CT, spine. Sagittal slice 215/512. scan covers 9 annotated vertebrae
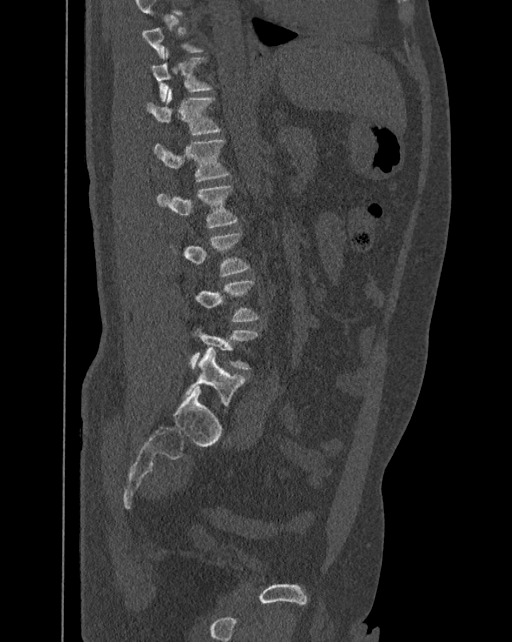
Each box given as x1,y1,x2,y2.
A vertebra is boxed only from the first to the last slice where its cross-section is at least a third of its largest; slices outside that range leave it without a box.
In these labels the spine has an L6, a sixth lumbar vertebra below L5.
Vertebra bounding boxes:
- L6: x1=183, y1=347, x2=247, y2=410
- L5: x1=189, y1=324, x2=259, y2=369
- L4: x1=194, y1=280, x2=259, y2=321
- L3: x1=170, y1=232, x2=250, y2=276
- L2: x1=157, y1=185, x2=238, y2=228
- L1: x1=154, y1=139, x2=230, y2=181
- T12: x1=146, y1=89, x2=222, y2=134
- T11: x1=151, y1=49, x2=213, y2=101